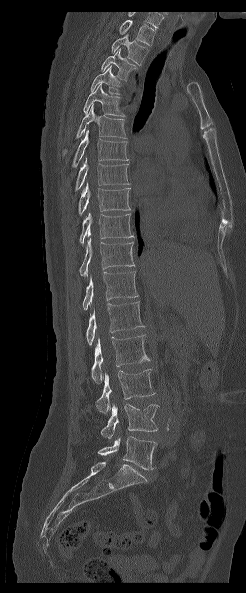 CT, spine — sagittal view

Each box given as x1,y1,x2,y2.
In this scan, the topmost labeled vertebra is T1 and the lowest is L5.
| vertebra | x1 | y1 | x2 | y2 |
|---|---|---|---|---|
| T1 | 119 | 20 | 155 | 45 |
| T2 | 111 | 34 | 149 | 65 |
| T3 | 101 | 49 | 136 | 80 |
| T4 | 91 | 65 | 120 | 94 |
| T5 | 83 | 83 | 125 | 116 |
| T6 | 62 | 105 | 127 | 155 |
| T7 | 72 | 130 | 128 | 167 |
| T8 | 75 | 158 | 129 | 190 |
| T9 | 78 | 183 | 130 | 215 |
| T10 | 80 | 212 | 134 | 245 |
| T11 | 79 | 238 | 134 | 277 |
| T12 | 83 | 271 | 138 | 310 |
| L1 | 86 | 302 | 144 | 345 |
| L2 | 91 | 334 | 149 | 383 |
| L3 | 96 | 369 | 155 | 414 |
| L4 | 101 | 404 | 159 | 439 |
| L5 | 98 | 436 | 156 | 469 |